Computed tomography of the spine — Sagittal slice 129/300
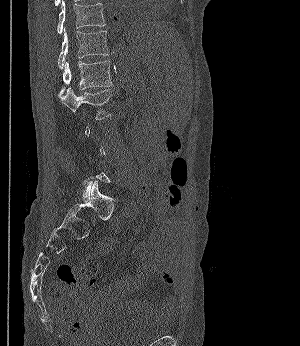
Each vertebra is boxed only on the slices from the first to the last where its cross-section reaches a third of its largest, so a slice outside that range leaves it unboxed.
<vertebrae><v name="T11" x1="57" y1="0" x2="105" y2="33"/><v name="T12" x1="58" y1="27" x2="108" y2="68"/><v name="L1" x1="58" y1="61" x2="111" y2="99"/><v name="L2" x1="61" y1="88" x2="111" y2="119"/></vertebrae>